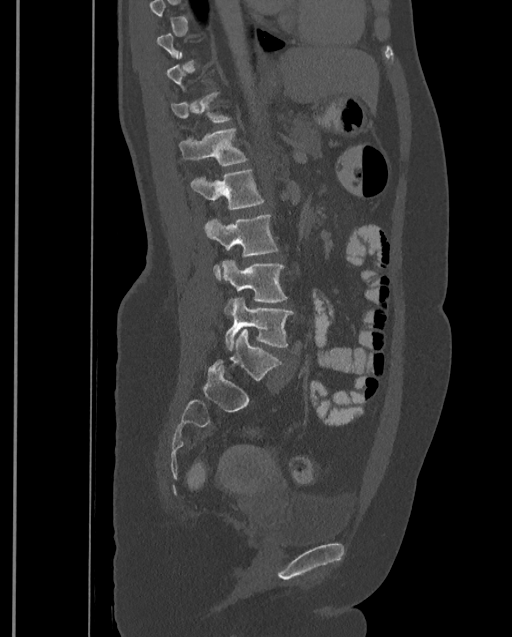

CT, spine. sagittal view. 512x637 px. 399 mm across the image

Each vertebra maps to its box as [x1, y1, x2, y2], the pixel coordinates of its top-left and bottom-right corners.
Each vertebra is boxed only on the slices from the first to the last where its cross-section reaches a third of its largest, so a slice outside that range leaves it unboxed.
This scan's labels start at T9 at the top and end at L4 at the bottom.
{"vertebrae":{"T12":[178,128,247,165],"L1":[191,170,263,209],"L2":[204,214,277,280],"L3":[221,260,288,313],"L4":[224,298,293,349]}}